CT spine. sagittal view
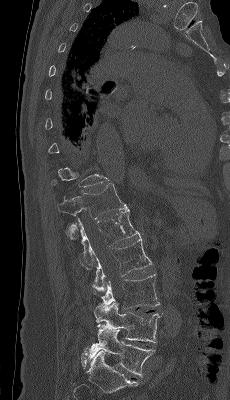 Boxes: x1:y1:x2:y2 in pixels. A vertebra is boxed only from the first to the last slice where its cross-section is at least a third of its largest; slices outside that range leave it without a box. The labeled vertebrae in this slice are: T12 at 57:183:128:240, L1 at 70:209:140:270, L2 at 92:237:152:291, L3 at 101:274:159:309, L4 at 94:301:162:342, L5 at 88:325:155:376.